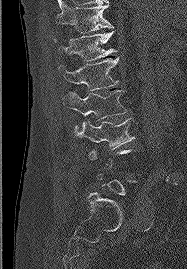

Spine CT; sagittal reformat; 187 mm image width
Each box given as x1,y1,x2,y2.
Each vertebra is boxed only on the slices from the first to the last where its cross-section reaches a third of its largest, so a slice outside that range leaves it unboxed.
T11: x1=57, y1=2, x2=113, y2=33
T12: x1=54, y1=31, x2=116, y2=61
L1: x1=58, y1=57, x2=118, y2=90
L2: x1=62, y1=90, x2=126, y2=130
L3: x1=75, y1=118, x2=134, y2=149